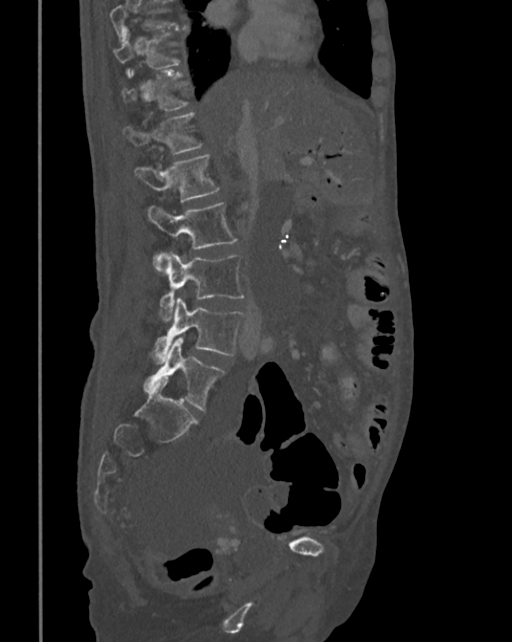
CT, spine · sagittal view
Each box given as x1,y1,x2,y2.
No box is given to a vertebra that the top edge of the scan cuts off.
| vertebra | x1 | y1 | x2 | y2 |
|---|---|---|---|---|
| T10 | 112 | 27 | 186 | 76 |
| T11 | 121 | 71 | 187 | 110 |
| T12 | 123 | 113 | 202 | 154 |
| L1 | 134 | 155 | 220 | 201 |
| L2 | 146 | 202 | 237 | 266 |
| L3 | 154 | 252 | 245 | 322 |
| L4 | 151 | 299 | 244 | 361 |
| L5 | 143 | 337 | 225 | 410 |